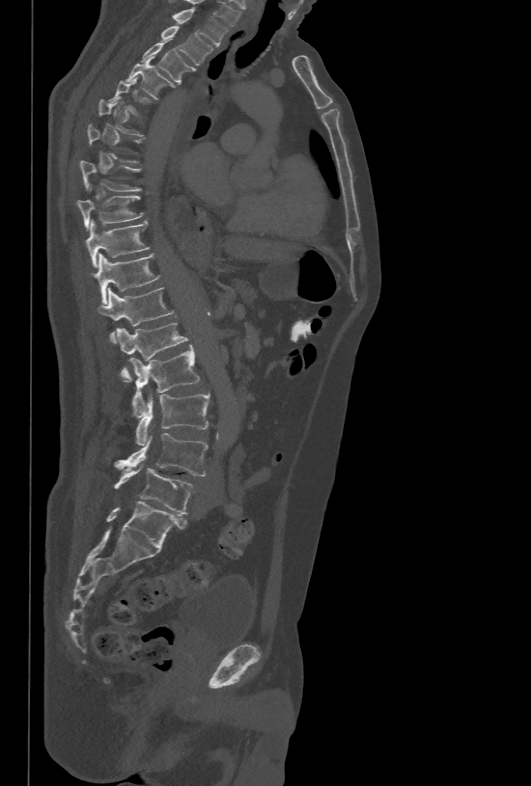
Spine computed tomography; sagittal view

Each box given as x1,y1,x2,y2.
Each vertebra is boxed only on the slices from the first to the last where its cross-section reaches a third of its largest, so a slice outside that range leaves it unboxed.
| vertebra | x1 | y1 | x2 | y2 |
|---|---|---|---|---|
| T1 | 173 | 7 | 227 | 45 |
| T2 | 160 | 25 | 214 | 65 |
| T3 | 141 | 38 | 192 | 83 |
| T4 | 126 | 60 | 171 | 98 |
| T9 | 77 | 195 | 143 | 229 |
| T10 | 85 | 220 | 149 | 266 |
| T11 | 91 | 253 | 160 | 303 |
| T12 | 98 | 287 | 174 | 342 |
| L1 | 116 | 323 | 189 | 381 |
| L2 | 129 | 344 | 199 | 416 |
| L3 | 136 | 393 | 209 | 445 |
| L4 | 114 | 433 | 208 | 476 |
| L5 | 114 | 465 | 192 | 514 |